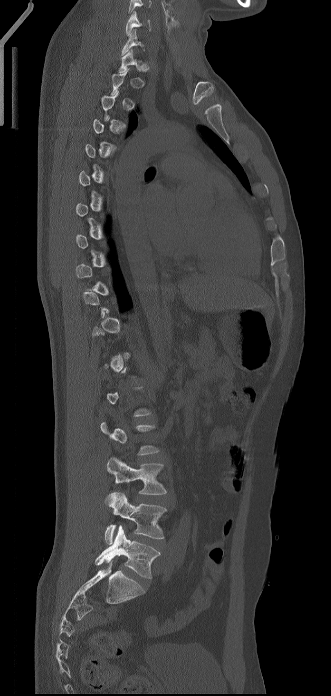
CT spine · sagittal view · 331 mm image width · bone window

A vertebra gets a box only on the slices from the first to the last where its cross-section is at least a third of its largest; on a slice outside that range it gets none.
This scan's labels start at C6 at the top and end at L5 at the bottom.
<vertebrae><v name="L5" x1="95" y1="525" x2="160" y2="578"/><v name="L4" x1="104" y1="492" x2="166" y2="544"/><v name="L3" x1="105" y1="457" x2="166" y2="504"/><v name="C7" x1="121" y1="29" x2="144" y2="54"/><v name="C6" x1="125" y1="11" x2="150" y2="35"/></vertebrae>